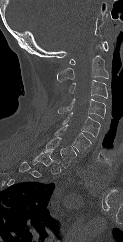
CT spine — sagittal view — bone window — 123x242 px
Coordinates as <box>x1,y1,x2,y2</box>.
Not every vertebra on this slice has a box: a vertebra is boxed only from the first to the last slice where its cross-section is at least a third of its largest, and this slice is outside that range for at least one of them.
C7: <box>46,136,76,165</box>
C6: <box>54,124,91,153</box>
C5: <box>62,112,100,136</box>
C4: <box>57,98,105,119</box>
C3: <box>69,80,107,98</box>
C2: <box>57,55,108,81</box>
C1: <box>69,41,108,65</box>